Computed tomography of the spine · 195 mm image width · sagittal reformat · bone window · scan covers 6 annotated vertebrae
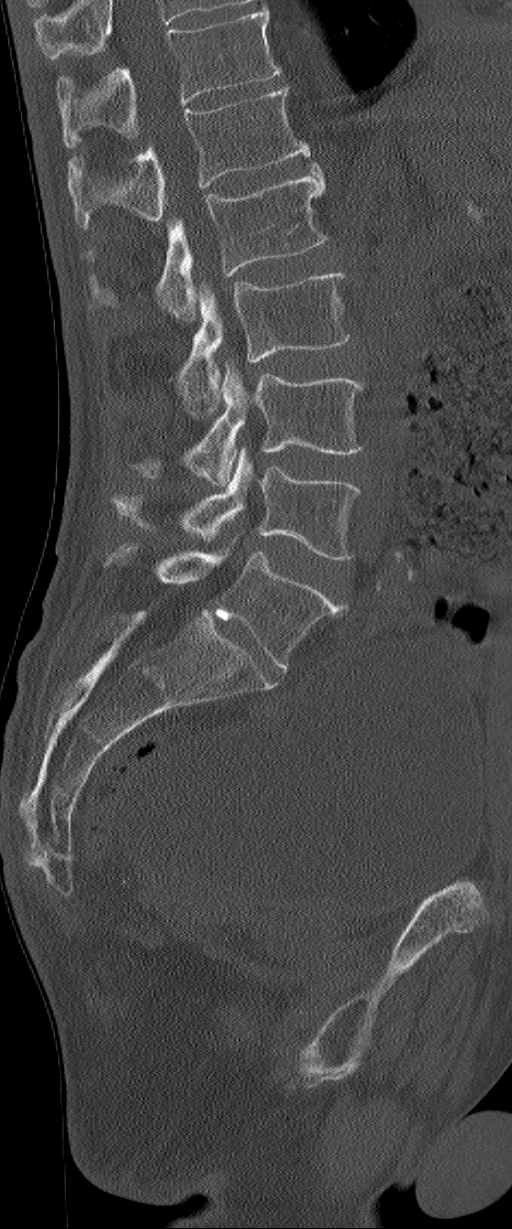

Boxes: x1 y1 x2 y2 (pixel coords, space-separated).
The highest labeled vertebra in this scan is L1; the lowest is L6.
The labels name a sixth lumbar vertebra for this spine: L6, after L5.
Vertebra bounding boxes:
- L1: 69 87 310 228
- L2: 85 164 328 320
- L3: 177 271 349 415
- L4: 132 363 365 486
- L5: 111 447 360 559
- L6: 103 544 342 669